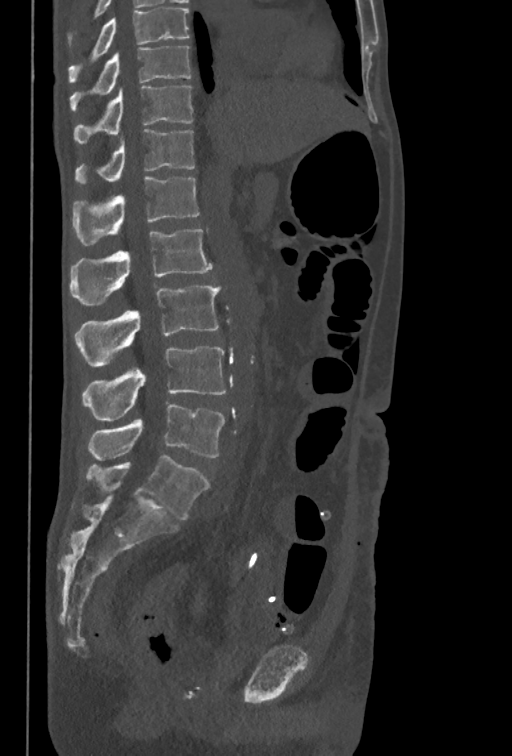
CT, spine · sagittal view

Boxes: x1:y1:x2:y2 in pixels. This scan's labels start at T10 at the top and end at L5 at the bottom. The labeled vertebrae in this slice are: T10 at 70:46:190:111, T11 at 74:86:192:144, T12 at 74:129:195:183, L1 at 73:176:199:245, L2 at 70:229:212:306, L3 at 74:284:221:366, L4 at 82:346:226:420, L5 at 88:404:224:460.